CT, spine · sagittal view · Bone window (WL 400, WW 1800)
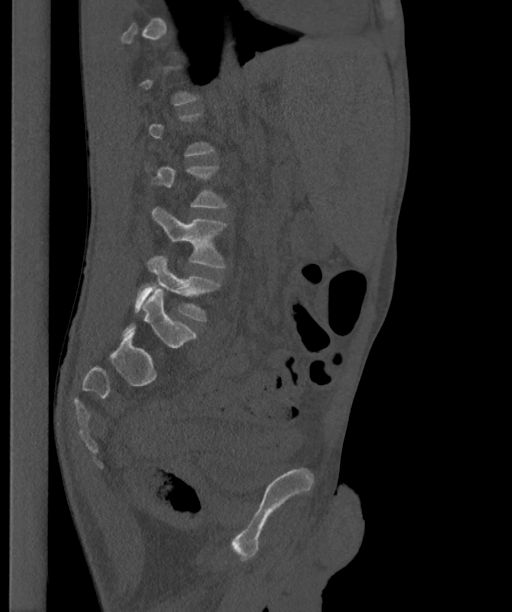
Each vertebra is boxed only on the slices from the first to the last where its cross-section reaches a third of its largest, so a slice outside that range leaves it unboxed.
These labels give the spine a sixth lumbar vertebra, L6, below L5.
<vertebrae><v name="L4" x1="152" y1="207" x2="226" y2="267"/><v name="L5" x1="134" y1="255" x2="220" y2="320"/><v name="L6" x1="122" y1="288" x2="196" y2="348"/></vertebrae>